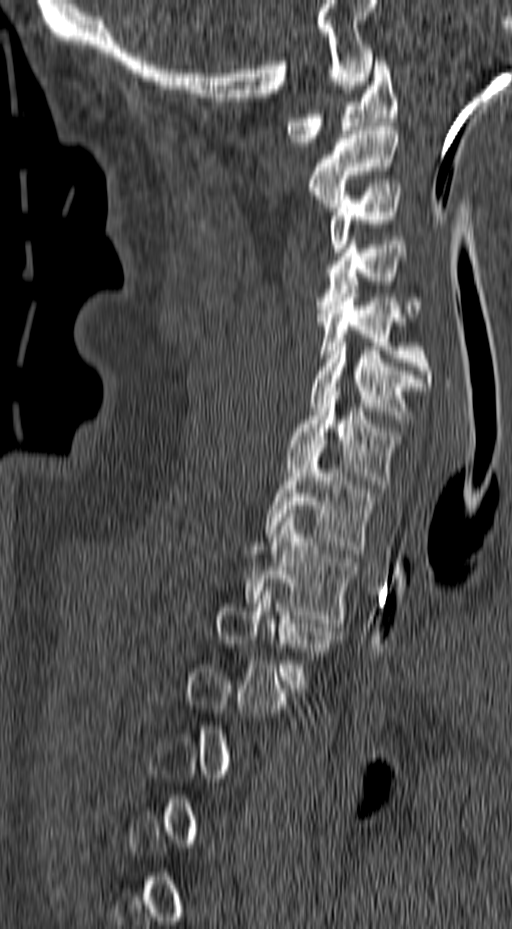 Computed tomography of the spine — sagittal view — 512x929 px
A vertebra gets a box only on the slices from the first to the last where its cross-section is at least a third of its largest; on a slice outside that range it gets none.
<vertebrae><v name="C1" x1="285" y1="57" x2="398" y2="146"/><v name="C2" x1="308" y1="122" x2="398" y2="211"/><v name="C3" x1="329" y1="183" x2="401" y2="252"/><v name="C4" x1="317" y1="241" x2="422" y2="317"/><v name="C5" x1="317" y1="289" x2="433" y2="386"/><v name="C6" x1="311" y1="338" x2="428" y2="423"/><v name="C7" x1="285" y1="387" x2="401" y2="488"/><v name="T1" x1="265" y1="448" x2="375" y2="549"/><v name="T2" x1="245" y1="514" x2="356" y2="627"/><v name="T3" x1="216" y1="587" x2="336" y2="688"/></vertebrae>